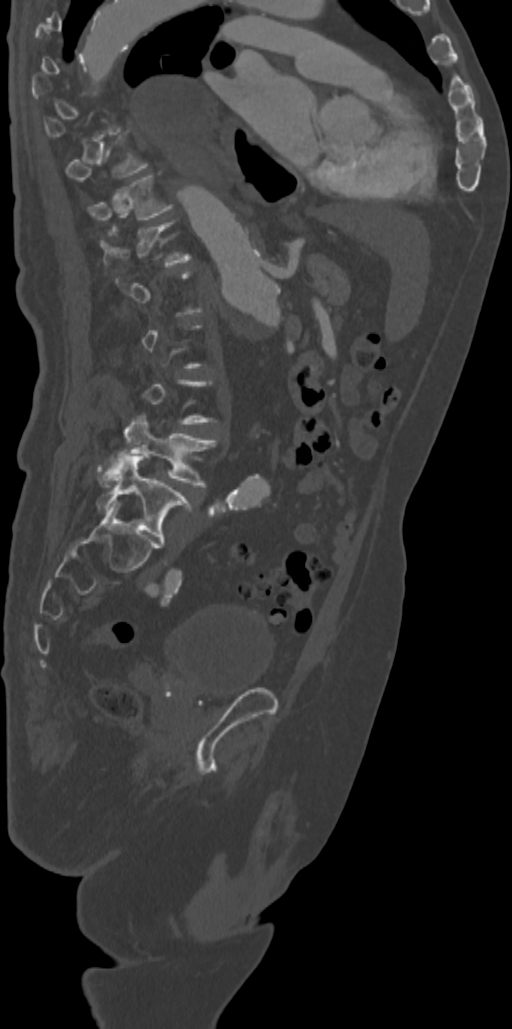 Computed tomography of the spine — sagittal view — 512x1029 px

Boxes: x1:y1:x2:y2 in pixels.
Not every vertebra on this slice has a box: a vertebra is boxed only from the first to the last slice where its cross-section is at least a third of its largest, and this slice is outside that range for at least one of them.
Vertebra bounding boxes:
- T11: 88:175:173:219
- L4: 99:413:216:486
- L5: 97:454:192:545